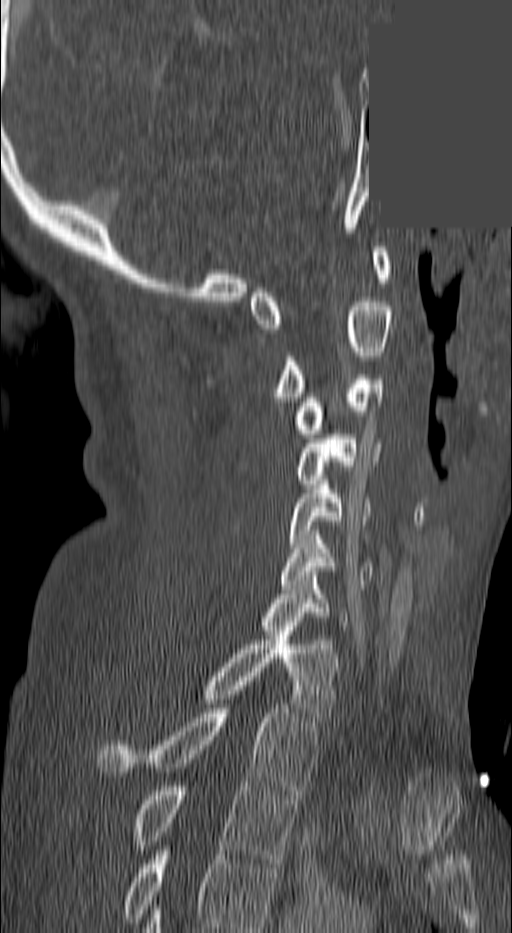

Spine computed tomography — sagittal reformat — 512x933 px — an area of the scan was removed and filled with constant pixels

Coordinates as <box>x1,y1,x2,y2</box>.
The highest labeled vertebra in this scan is C1; the lowest is T3.
Vertebra bounding boxes:
- C1: <box>249,247,392,328</box>
- C2: <box>272,302,392,401</box>
- C3: <box>295,375,384,438</box>
- C4: <box>294,434,381,484</box>
- C5: <box>287,480,370,548</box>
- C6: <box>279,535,373,589</box>
- C7: <box>257,576,348,630</box>
- T1: <box>202,631,337,721</box>
- T2: <box>96,709,319,794</box>
- T3: <box>133,782,297,863</box>